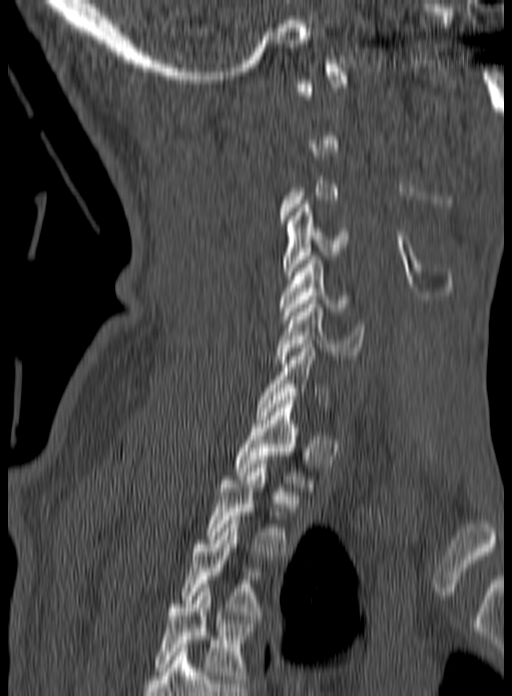 Computed tomography of the spine; image 160 mm wide; sagittal view
Bounding boxes as [x1, y1, x2, y2] in pixel coordinates.
A vertebra gets a box only on the slices from the first to the last where its cross-section is at least a third of its largest; on a slice outside that range it gets none.
This scan's labels start at C1 at the top and end at T3 at the bottom.
Vertebra bounding boxes:
- C4: [282, 204, 348, 279]
- C5: [279, 256, 349, 319]
- C6: [275, 300, 365, 363]
- T1: [235, 400, 313, 491]
- T2: [206, 464, 288, 559]
- T3: [184, 516, 261, 619]